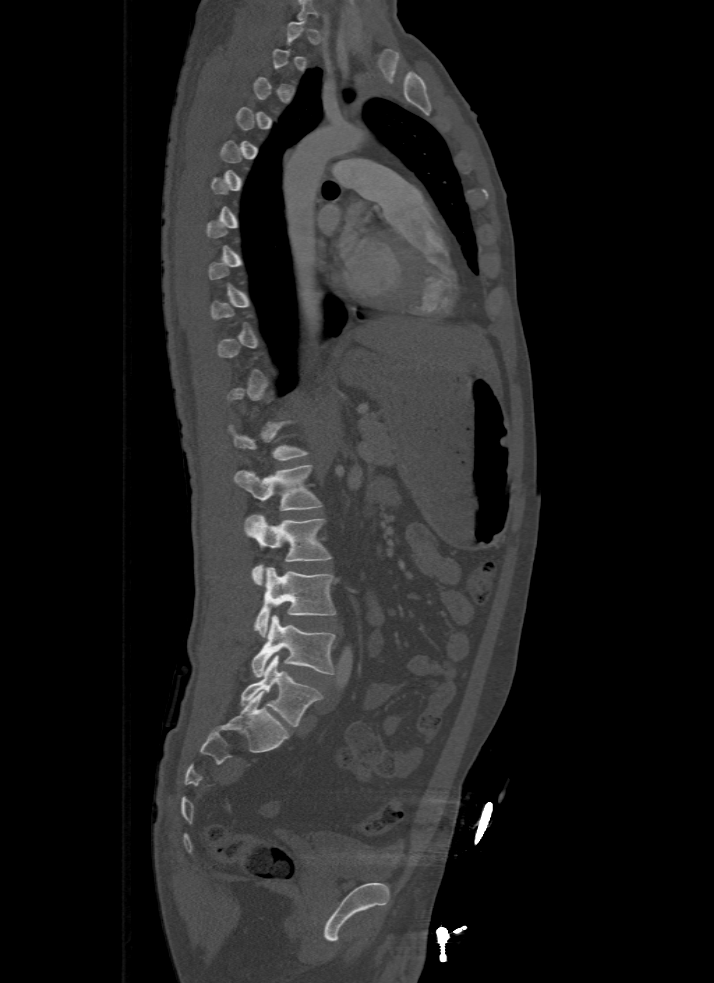
CT, spine · sagittal view · Bone window (WL 400, WW 1800) · image 500 mm wide

Box edges are left/top/right/bottom in pixels.
A vertebra is boxed only from the first to the last slice where its cross-section is at least a third of its largest; slices outside that range leave it without a box.
| vertebra | x1 | y1 | x2 | y2 |
|---|---|---|---|---|
| T12 | 227 | 420 | 309 | 461 |
| L1 | 234 | 465 | 321 | 511 |
| L2 | 244 | 515 | 332 | 585 |
| L3 | 254 | 568 | 337 | 637 |
| L4 | 251 | 615 | 337 | 677 |
| L5 | 241 | 655 | 323 | 727 |